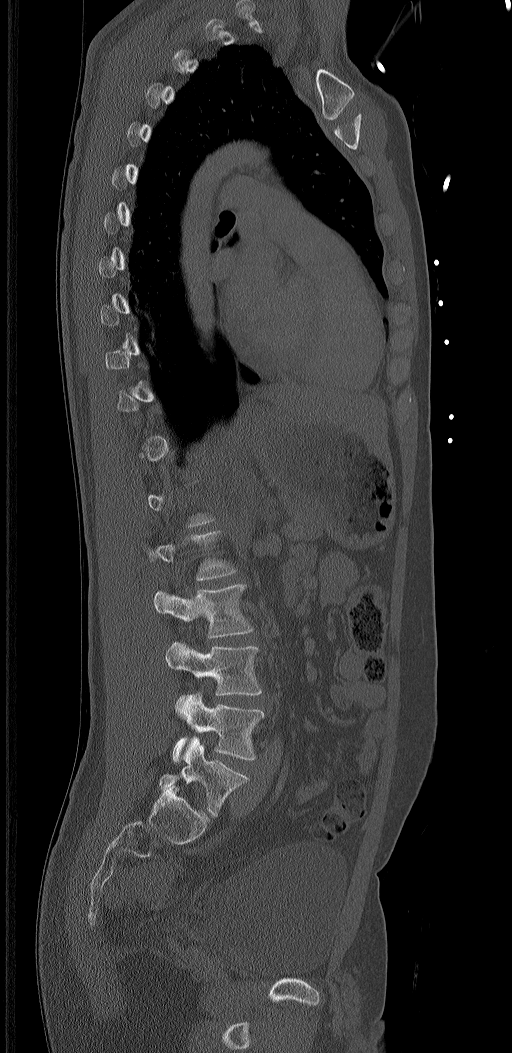

Spine CT. sagittal reformat. bone-window reconstruction
Coordinates as <box>x1,y1,x2,y2</box>.
A vertebra is boxed only from the first to the last slice where its cross-section is at least a third of its largest; slices outside that range leave it without a box.
The labels name a sixth lumbar vertebra for this spine: L6, after L5.
Vertebra bounding boxes:
- L6: <box>158,736,249,817</box>
- L5: <box>173,692,265,761</box>
- L4: <box>165,642,262,695</box>
- L3: <box>154,584,254,638</box>
- L2: <box>146,530,238,580</box>